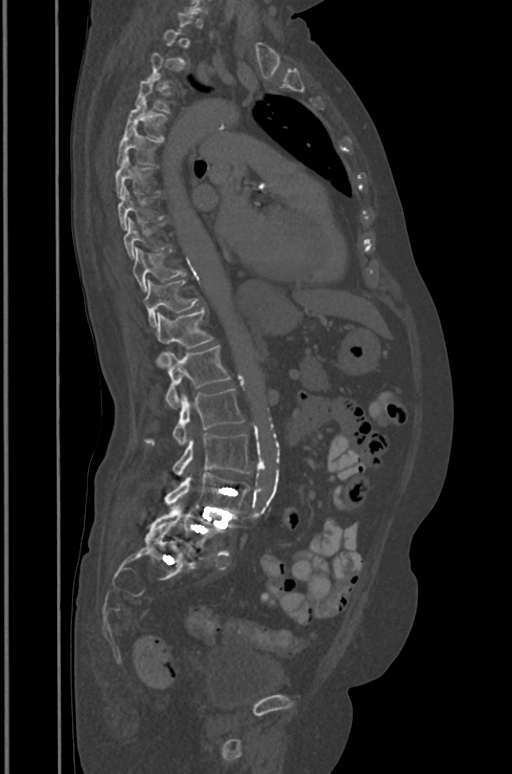
Spine CT · sagittal reformat · image width 391 mm · 512x774 px
Coordinates as <box>x1,y1,x2,y2</box>. Each vertebra is boxed only on the slices from the first to the last where its cross-section reaches a third of its largest, so a slice outside that range leaves it unboxed. The labeled vertebrae in this slice are: T4 at <box>135,74,169,112</box>, T5 at <box>124,101,167,139</box>, T6 at <box>116,127,159,165</box>, T7 at <box>115,155,152,195</box>, T8 at <box>118,187,163,229</box>, T9 at <box>123,218,165,257</box>, T10 at <box>132,248,185,290</box>, T11 at <box>144,280,197,326</box>, T12 at <box>156,308,212,367</box>, L1 at <box>165,345,230,407</box>, L2 at <box>145,389,244,446</box>, L3 at <box>173,433,250,475</box>, L4 at <box>165,472,250,515</box>, L5 at <box>151,506,224,550</box>.